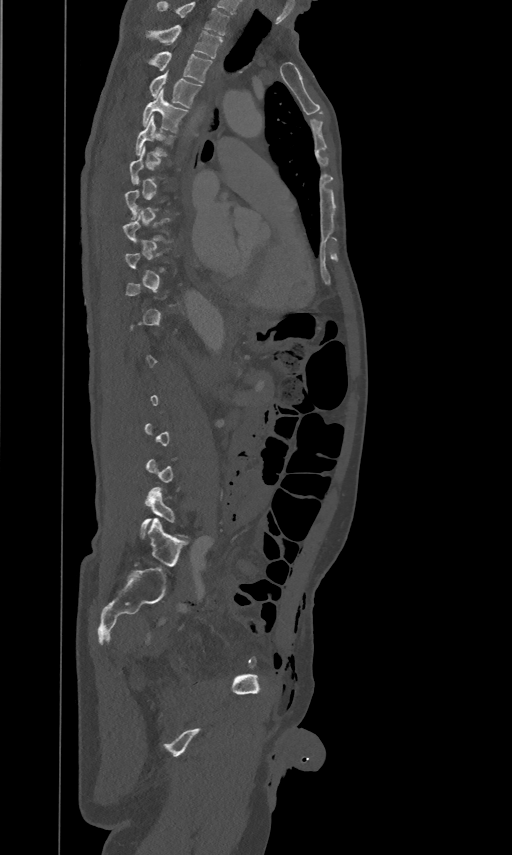 Computed tomography of the spine; sagittal view; 512x855 px
Boxes: x1 y1 x2 y2 (pixel coords, space-separated).
Not every vertebra on this slice has a box: a vertebra is boxed only from the first to the last slice where its cross-section is at least a third of its largest, and this slice is outside that range for at least one of them.
The highest labeled vertebra in this scan is T2; the lowest is L5.
Vertebra bounding boxes:
- L5: 140 487 186 539
- T6: 135 114 175 155
- T5: 142 88 188 132
- T4: 150 71 201 108
- T3: 147 51 212 82
- T2: 146 24 223 58